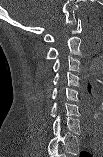

Computed tomography of the spine; sagittal reformat; W/L 1800/400 HU
Box edges are left/top/right/bottom in pixels.
This scan's labels start at C1 at the top and end at C7 at the bottom.
C1: left=44, top=18, right=81, bottom=41
C2: left=45, top=36, right=81, bottom=58
C3: left=53, top=56, right=80, bottom=71
C4: left=52, top=72, right=79, bottom=86
C5: left=52, top=86, right=78, bottom=101
C6: left=50, top=102, right=80, bottom=116
C7: left=53, top=116, right=80, bottom=134